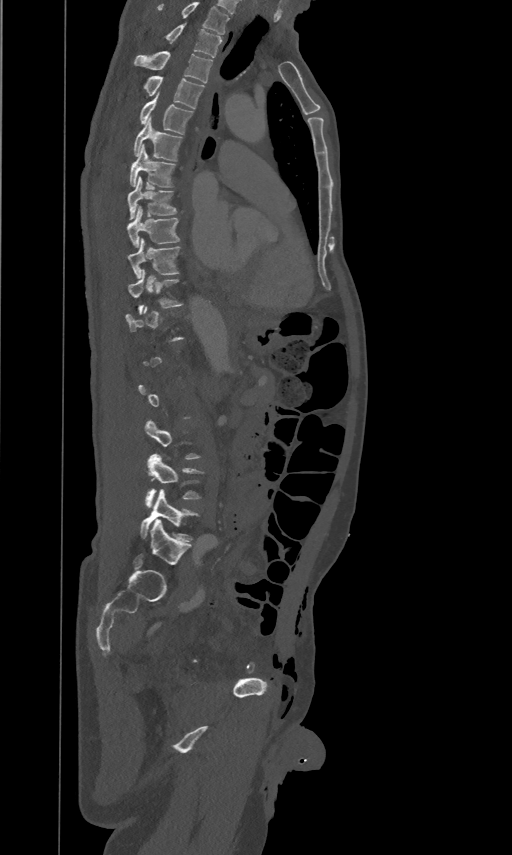 Computed tomography of the spine · sagittal reformat
A vertebra gets a box only on the slices from the first to the last where its cross-section is at least a third of its largest; on a slice outside that range it gets none.
In this scan, the topmost labeled vertebra is T2 and the lowest is L5.
<vertebrae><v name="T2" x1="167" y1="23" x2="222" y2="57"/><v name="T3" x1="134" y1="51" x2="212" y2="82"/><v name="T4" x1="142" y1="75" x2="204" y2="109"/><v name="T5" x1="140" y1="93" x2="193" y2="134"/><v name="T6" x1="133" y1="118" x2="182" y2="160"/><v name="T7" x1="130" y1="144" x2="176" y2="185"/><v name="T8" x1="128" y1="176" x2="177" y2="219"/><v name="T9" x1="127" y1="205" x2="180" y2="246"/><v name="T10" x1="129" y1="237" x2="180" y2="278"/><v name="T11" x1="129" y1="269" x2="182" y2="314"/><v name="L4" x1="146" y1="453" x2="204" y2="509"/><v name="L5" x1="140" y1="490" x2="199" y2="541"/></vertebrae>